Computed tomography of the spine; sagittal reformat; 177x300 px; scan covers 5 annotated vertebrae
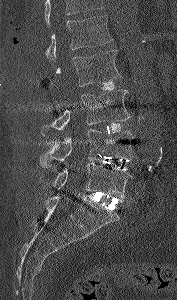 In the table, x1 and y1 are a box's top-left corner and x2 and y2 its bottom-right corner, in pixels.
Vertebrae that run past the top of the scan are left unlabeled.
| vertebra | x1 | y1 | x2 | y2 |
|---|---|---|---|---|
| L1 | 45 | 15 | 112 | 61 |
| L2 | 55 | 50 | 121 | 86 |
| L3 | 41 | 89 | 131 | 136 |
| L4 | 39 | 129 | 136 | 167 |
| L5 | 39 | 163 | 134 | 199 |